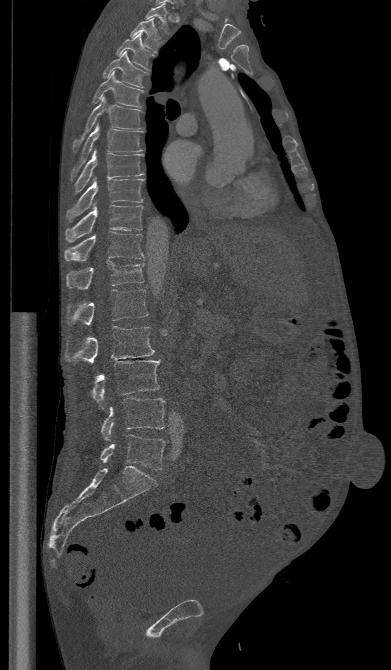 Computed tomography of the spine — sagittal view — 391x670 px
Coordinates as <box>x1,y1,x2,y2</box>.
Vertebra bounding boxes:
- T1: <box>144,3,168,35</box>
- T2: <box>130,18,161,52</box>
- T3: <box>116,33,155,69</box>
- T4: <box>102,51,147,87</box>
- T5: <box>92,71,143,107</box>
- T6: <box>72,95,144,152</box>
- T7: <box>70,123,143,181</box>
- T8: <box>72,149,144,194</box>
- T9: <box>66,177,143,220</box>
- T10: <box>65,200,142,242</box>
- T11: <box>64,231,145,261</box>
- T12: <box>66,260,144,289</box>
- L1: <box>66,289,148,326</box>
- L2: <box>65,326,154,366</box>
- L3: <box>90,359,161,408</box>
- L4: <box>101,398,165,440</box>
- L5: <box>99,434,165,470</box>